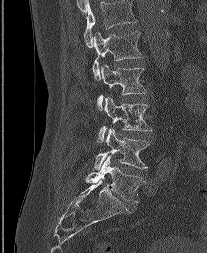 CT; sagittal view; 207x253 px
Each box given as x1,y1,x2,y2.
The highest labeled vertebra in this scan is L1; the lowest is L5.
| vertebra | x1 | y1 | x2 | y2 |
|---|---|---|---|---|
| L5 | 85 | 155 | 144 | 203 |
| L4 | 94 | 128 | 150 | 169 |
| L3 | 97 | 97 | 151 | 142 |
| L2 | 97 | 63 | 145 | 109 |
| L1 | 92 | 30 | 142 | 79 |